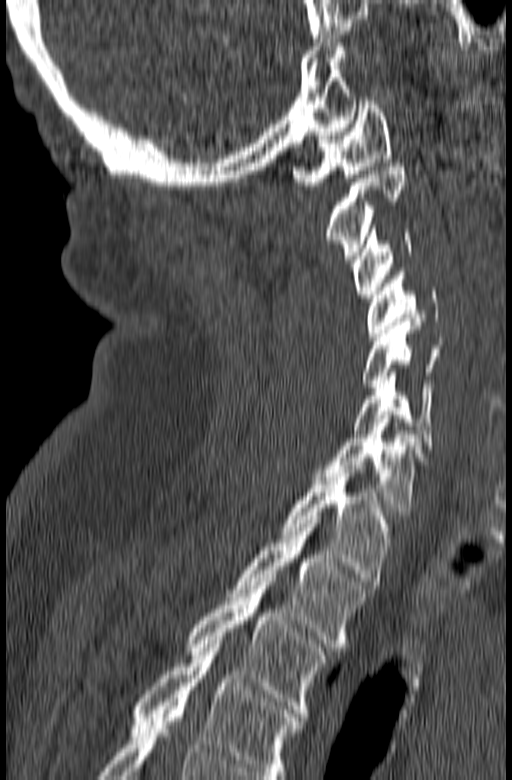

Computed tomography of the spine; sagittal view; 165 mm wide
Boxes: x1 y1 x2 y2 (pixel coords, space-separated).
The highest labeled vertebra in this scan is C1; the lowest is T3.
C1: 292 97 391 189
C2: 324 163 407 259
C3: 352 225 412 298
C4: 367 272 438 336
C5: 361 318 441 391
C6: 352 372 434 449
C7: 314 415 425 515
T1: 280 465 391 581
T2: 228 520 369 647
T3: 187 582 328 717